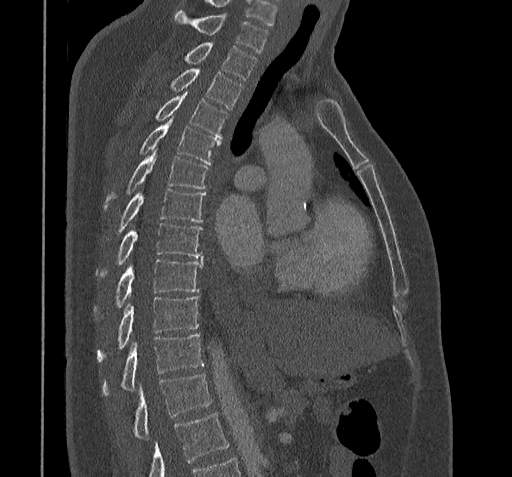

Spine CT. the image is 322 mm wide. sagittal view
In the table, x1 and y1 are a box's top-left corner and x2 and y2 its bottom-right corner, in pixels.
No box is given to a vertebra that the bottom edge of the scan cuts off.
| vertebra | x1 | y1 | x2 | y2 |
|---|---|---|---|---|
| C7 | 175 | 10 | 267 | 52 |
| T1 | 184 | 43 | 256 | 79 |
| T2 | 170 | 67 | 242 | 108 |
| T3 | 154 | 92 | 226 | 138 |
| T4 | 140 | 117 | 220 | 164 |
| T5 | 105 | 147 | 208 | 208 |
| T6 | 117 | 189 | 205 | 231 |
| T7 | 97 | 222 | 202 | 277 |
| T8 | 114 | 259 | 202 | 307 |
| T9 | 97 | 295 | 199 | 361 |
| T10 | 103 | 333 | 202 | 395 |
| T11 | 133 | 374 | 210 | 437 |